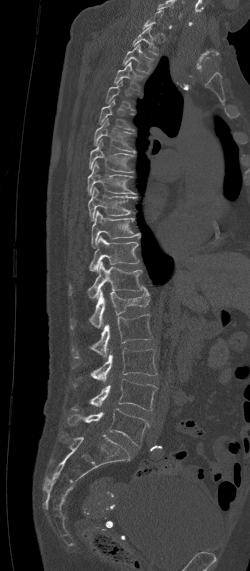 CT · sagittal view · 250x571 px
Each vertebra is boxed only on the slices from the first to the last where its cross-section reaches a third of its largest, so a slice outside that range leaves it unboxed.
<vertebrae><v name="T1" x1="131" y1="25" x2="159" y2="55"/><v name="T2" x1="123" y1="43" x2="154" y2="73"/><v name="T3" x1="114" y1="62" x2="143" y2="89"/><v name="T5" x1="98" y1="99" x2="134" y2="130"/><v name="T6" x1="94" y1="118" x2="135" y2="153"/><v name="T7" x1="89" y1="139" x2="133" y2="172"/><v name="T8" x1="87" y1="161" x2="136" y2="195"/><v name="T9" x1="88" y1="187" x2="136" y2="220"/><v name="T10" x1="91" y1="211" x2="140" y2="248"/><v name="T11" x1="89" y1="236" x2="138" y2="271"/><v name="T12" x1="68" y1="261" x2="143" y2="299"/><v name="L1" x1="69" y1="286" x2="150" y2="328"/><v name="L2" x1="71" y1="314" x2="154" y2="357"/><v name="L3" x1="72" y1="348" x2="157" y2="386"/><v name="L4" x1="70" y1="379" x2="157" y2="410"/><v name="L5" x1="68" y1="408" x2="149" y2="445"/></vertebrae>